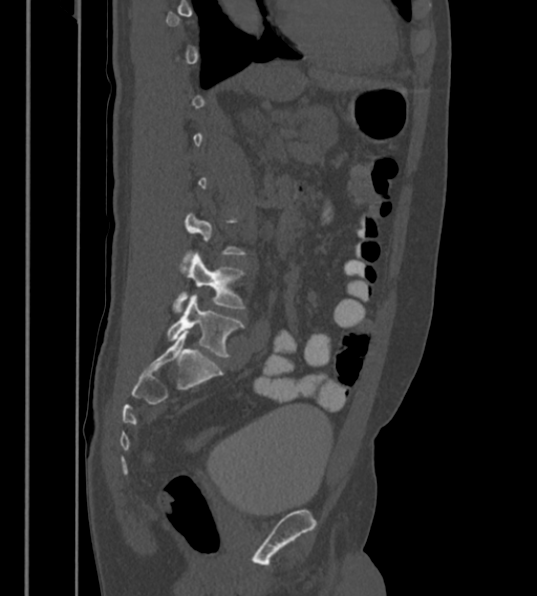 CT, spine · sagittal reformat · bone window

Boxes are given in columns x1, y1, x2, y2, the pixel coordinates of their top-left and bottom-right corners.
Not every vertebra on this slice has a box: a vertebra is boxed only from the first to the last slice where its cross-section is at least a third of its largest, and this slice is outside that range for at least one of them.
These labels give the spine a sixth lumbar vertebra, L6, below L5.
| vertebra | x1 | y1 | x2 | y2 |
|---|---|---|---|---|
| L6 | 166 | 295 | 242 | 356 |
| L5 | 174 | 254 | 244 | 313 |